CT spine. sagittal plane, index 204. 140 mm wide. part of the image has been replaced by a constant value
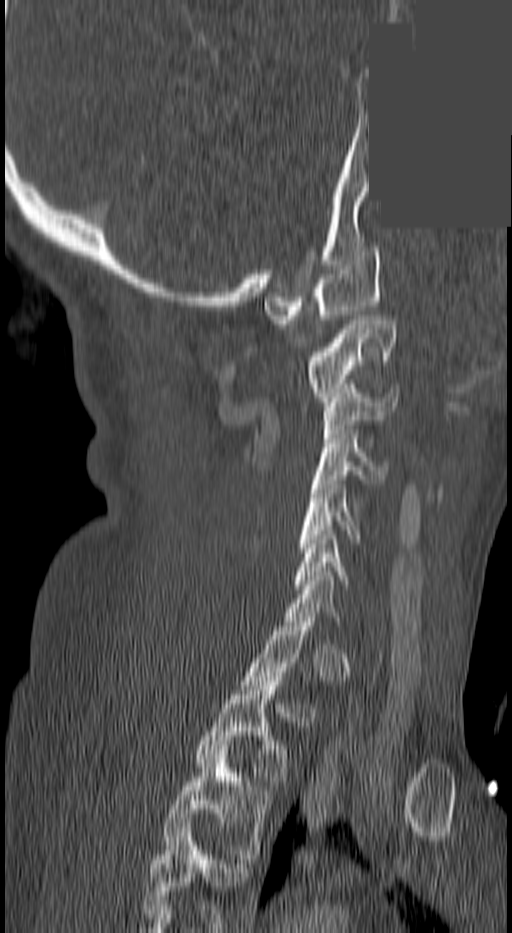 Boxes: x1 y1 x2 y2 (pixel coords, space-separated). A vertebra is boxed only from the first to the last slice where its cross-section is at least a third of its largest; slices outside that range leave it without a box. In this scan, the topmost labeled vertebra is C1 and the lowest is T3. 8 vertebrae labeled — C1 at 264 247 381 324; C2 at 304 315 395 401; C3 at 323 389 399 438; C4 at 312 434 384 488; C5 at 296 485 359 552; C6 at 294 535 348 589; T2 at 195 677 286 785; T3 at 162 750 271 858.